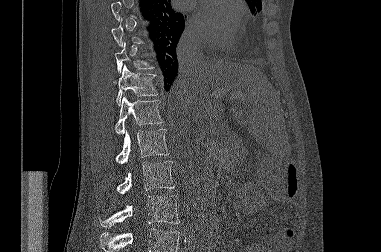
CT, spine; the image spans 381 mm across; sagittal reformat; bone window. Box edges are left/top/right/bottom in pixels.
Each vertebra is boxed only on the slices from the first to the last where its cross-section reaches a third of its largest, so a slice outside that range leaves it unboxed.
A vertebra cut off by the bottom edge of the scan is not labeled and has no box.
Vertebra bounding boxes:
- L3: left=100, top=195, right=179, bottom=227
- L2: left=116, top=161, right=174, bottom=193
- L1: left=115, top=129, right=169, bottom=164
- T12: left=115, top=94, right=163, bottom=134
- T11: left=113, top=64, right=158, bottom=105
- T10: left=115, top=42, right=153, bottom=73